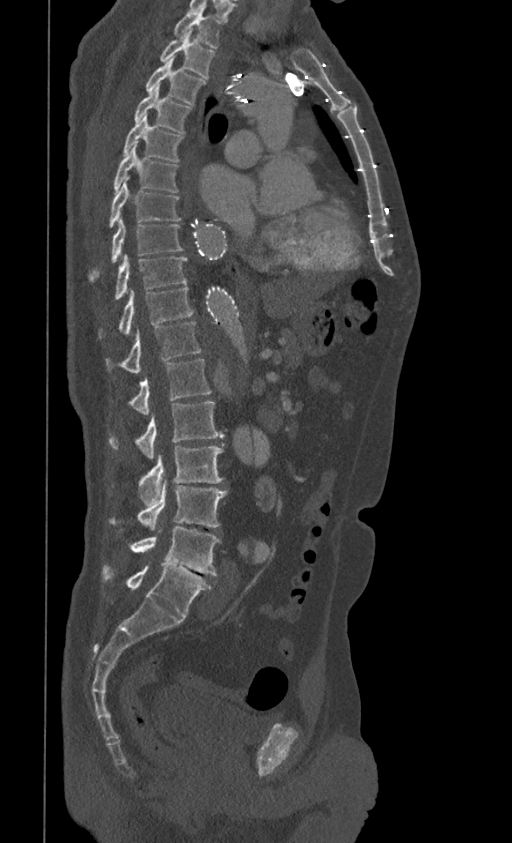

Computed tomography of the spine; 399 mm wide; sagittal view
Boxes are (x1, y1, x2, y2) in pixels. Vertebrae labeled: L5 at (103, 565, 212, 618), L4 at (129, 527, 220, 575), L3 at (109, 478, 227, 530), L2 at (138, 446, 223, 505), L1 at (109, 402, 223, 459), T12 at (128, 359, 212, 414), T11 at (106, 322, 202, 372), T10 at (99, 286, 194, 337), T9 at (114, 254, 187, 299), T8 at (88, 217, 184, 281), T7 at (109, 178, 181, 228), T6 at (113, 146, 179, 192), T5 at (123, 114, 184, 162), T4 at (133, 85, 191, 134), T3 at (146, 59, 205, 104), T2 at (159, 31, 216, 79), T1 at (173, 10, 222, 48).